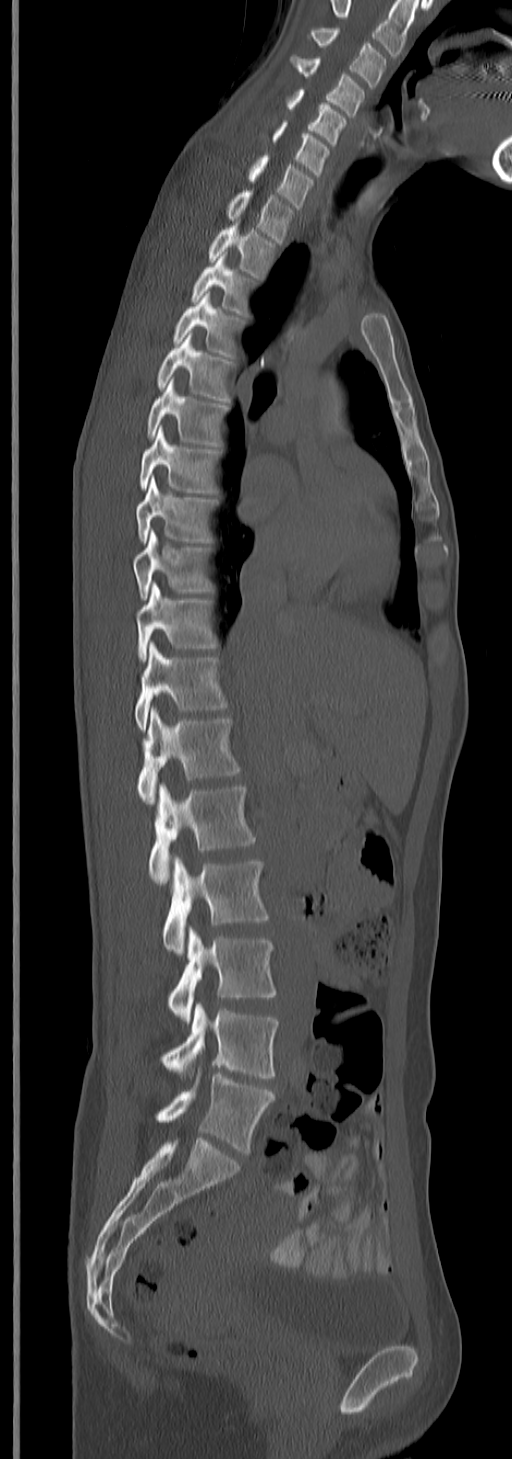 Computed tomography of the spine. sagittal view. bone-window reconstruction. Bounding boxes as [x1, y1, x2, y2] in pixel coordinates.
The highest labeled vertebra in this scan is C3; the lowest is L5.
Vertebra bounding boxes:
- C3: [310, 28, 386, 85]
- C4: [291, 55, 365, 115]
- C5: [287, 88, 346, 144]
- C6: [264, 120, 330, 175]
- C7: [247, 153, 313, 209]
- T1: [226, 191, 296, 242]
- T2: [207, 224, 277, 278]
- T3: [191, 256, 255, 315]
- T4: [174, 293, 244, 357]
- T5: [157, 335, 236, 403]
- T6: [147, 379, 227, 445]
- T7: [138, 427, 219, 493]
- T8: [136, 477, 217, 543]
- T9: [132, 529, 213, 599]
- T10: [136, 582, 217, 662]
- T11: [134, 642, 227, 731]
- T12: [136, 707, 240, 804]
- L1: [149, 782, 257, 884]
- L2: [161, 855, 269, 955]
- L3: [168, 927, 275, 1022]
- L4: [161, 1002, 277, 1078]
- L5: [155, 1067, 275, 1153]